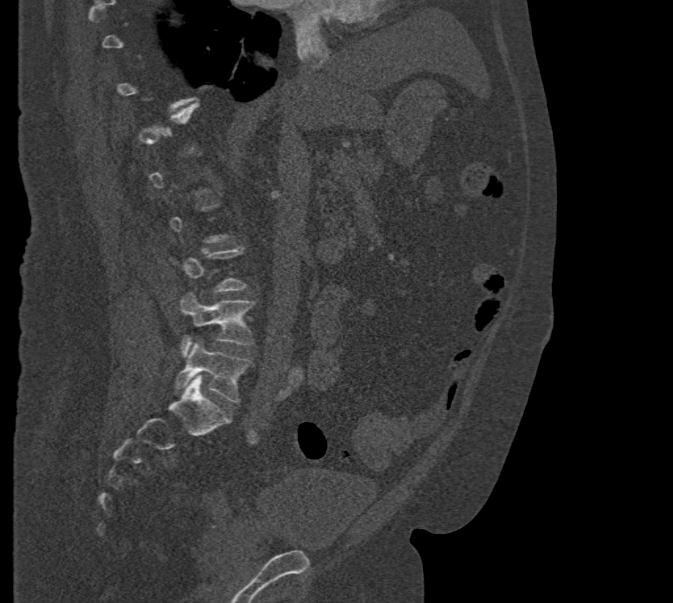
CT spine · sagittal view · 673x603 px
Box edges are left/top/right/bottom in pixels.
A vertebra is boxed only from the first to the last slice where its cross-section is at least a third of its largest; slices outside that range leave it without a box.
Vertebra bounding boxes:
- L4: left=180, top=292, right=253, bottom=355
- L5: left=176, top=342, right=251, bottom=401